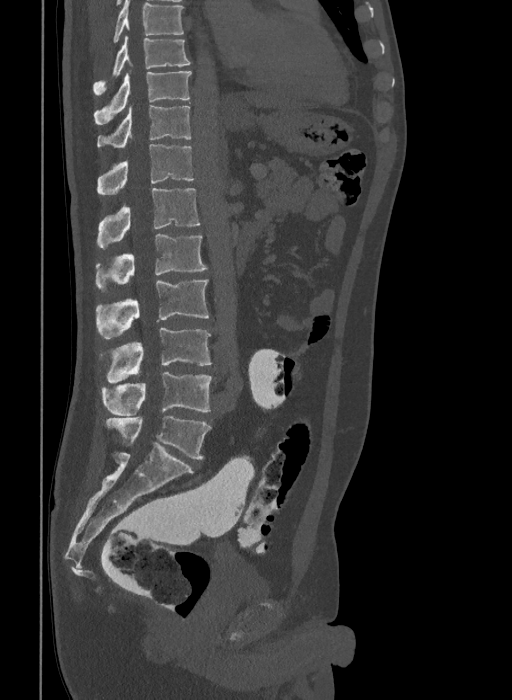
Spine CT · sagittal view · 409 mm image width

Coordinates as <box>x1,y1,x2,y2</box>. This scan's labels start at T9 at the top and end at L6 at the bottom. The labels name a sixth lumbar vertebra for this spine: L6, after L5. 10 vertebrae labeled — L6 at <box>106,416,210,459</box>; L5 at <box>101,372,212,415</box>; L4 at <box>106,328,212,383</box>; L3 at <box>96,279,209,338</box>; L2 at <box>95,234,208,291</box>; L1 at <box>98,188,200,248</box>; T12 at <box>98,144,194,194</box>; T11 at <box>98,105,190,148</box>; T10 at <box>94,71,192,124</box>; T9 at <box>93,36,190,94</box>.